Computed tomography of the spine · sagittal reformat · W/L 1800/400 HU
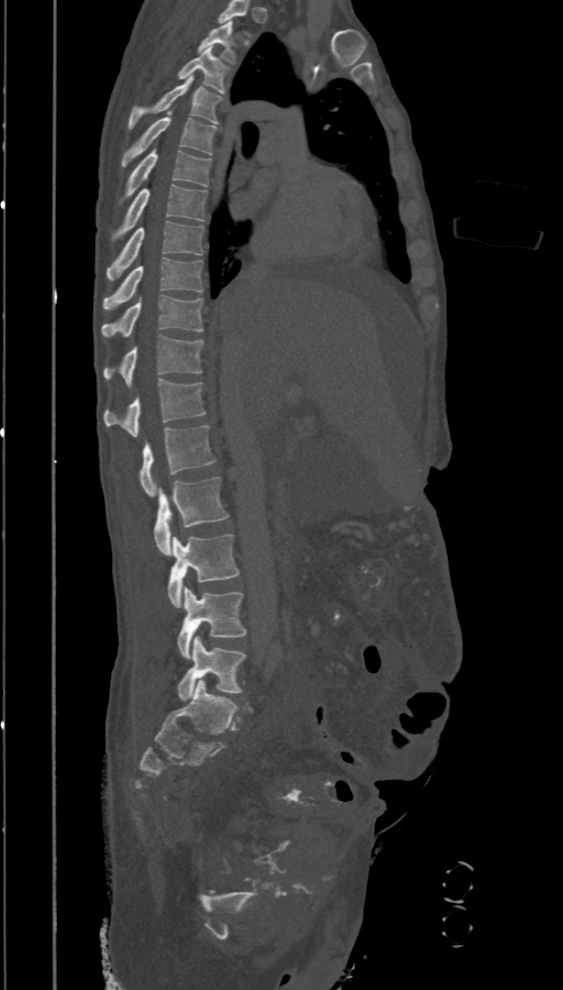 Columns x1, y1, x2, y2 give each box's top-left and bottom-right pixels.
Labels in this scan begin with T2 at the top and end with L5 at the bottom.
| vertebra | x1 | y1 | x2 | y2 |
|---|---|---|---|---|
| T2 | 198 | 20 | 236 | 64 |
| T3 | 178 | 47 | 228 | 94 |
| T4 | 128 | 75 | 222 | 129 |
| T5 | 121 | 110 | 216 | 166 |
| T6 | 119 | 147 | 210 | 205 |
| T7 | 111 | 185 | 208 | 242 |
| T8 | 106 | 220 | 203 | 281 |
| T9 | 102 | 257 | 203 | 309 |
| T10 | 101 | 295 | 203 | 336 |
| T11 | 102 | 335 | 203 | 386 |
| T12 | 103 | 379 | 205 | 436 |
| L1 | 140 | 425 | 216 | 496 |
| L2 | 154 | 477 | 229 | 555 |
| L3 | 168 | 535 | 239 | 607 |
| L4 | 177 | 586 | 246 | 659 |
| L5 | 177 | 636 | 245 | 701 |